Spine computed tomography · Sagittal slice 236/512 · 8 vertebrae labeled in this scan
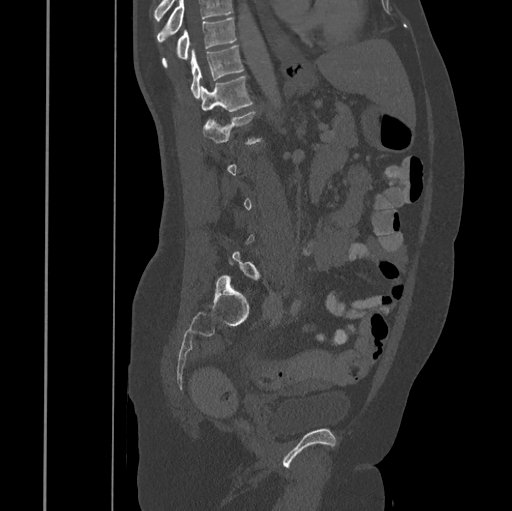
Boxes: x1 y1 x2 y2 (pixel coords, space-separated).
Each vertebra is boxed only on the slices from the first to the last where its cross-section reaches a third of its largest, so a slice outside that range leaves it unboxed.
A vertebra cut off by the top edge of the scan is not labeled and has no box.
Vertebra bounding boxes:
- T10: 162 17 236 66
- T11: 191 46 243 97
- T12: 200 76 252 112
- L1: 202 112 261 144